CT, spine — sagittal reformat — Bone window (WL 400, WW 1800) — 204 mm wide
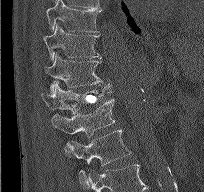 Coordinates as <box>x1,y1,x2,y2</box>.
Vertebra bounding boxes:
- T9: <box>46,0,102,32</box>
- T10: <box>43,23,100,61</box>
- T11: <box>45,54,110,92</box>
- T12: <box>41,84,112,114</box>
- L1: <box>51,99,114,157</box>
- L2: <box>64,129,131,183</box>